Computed tomography of the spine; Sagittal slice 310/512; the image spans 363 mm across; 512x612 px
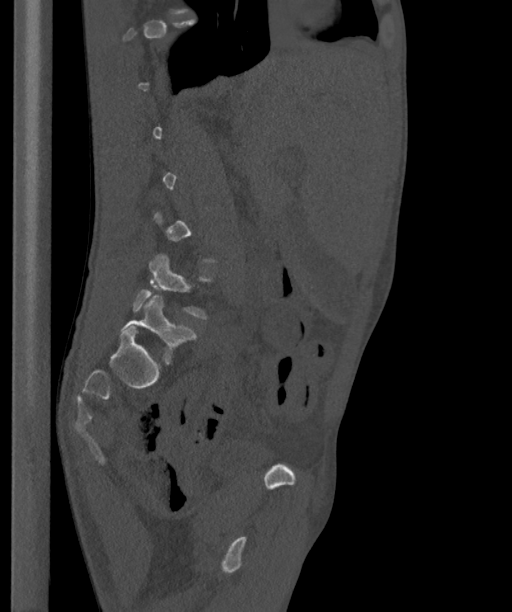

Each box given as x1,y1,x2,y2.
Not every vertebra on this slice has a box: a vertebra is boxed only from the first to the last slice where its cross-section is at least a third of its largest, and this slice is outside that range for at least one of them.
These labels give the spine a sixth lumbar vertebra, L6, below L5.
| vertebra | x1 | y1 | x2 | y2 |
|---|---|---|---|---|
| L6 | 121 | 295 | 195 | 362 |
| L5 | 131 | 253 | 208 | 318 |